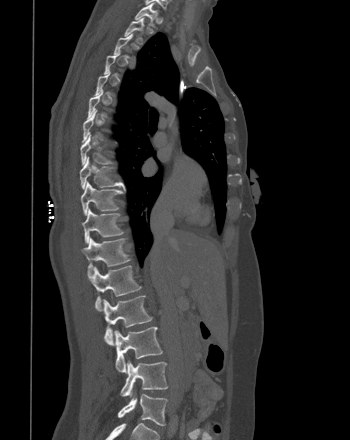 CT spine; sagittal view; bone-window reconstruction; 350x440 px

Bounding boxes as [x1, y1, x2, y2] in pixel coordinates.
Each vertebra is boxed only on the slices from the first to the last where its cross-section reaches a third of its largest, so a slice outside that range leaves it unboxed.
Vertebra bounding boxes:
- T1: [135, 2, 158, 26]
- T2: [124, 17, 144, 43]
- T8: [80, 133, 113, 165]
- T9: [79, 157, 122, 189]
- T10: [80, 181, 122, 215]
- T11: [82, 208, 123, 243]
- T12: [81, 237, 130, 276]
- L1: [88, 265, 141, 310]
- L2: [103, 295, 152, 345]
- L3: [114, 327, 162, 372]
- L4: [120, 360, 167, 397]
- L5: [117, 391, 167, 425]